Computed tomography of the spine; sagittal view; W/L 1800/400 HU; scan covers 23 annotated vertebrae; a region of this slice is masked with a uniform fill
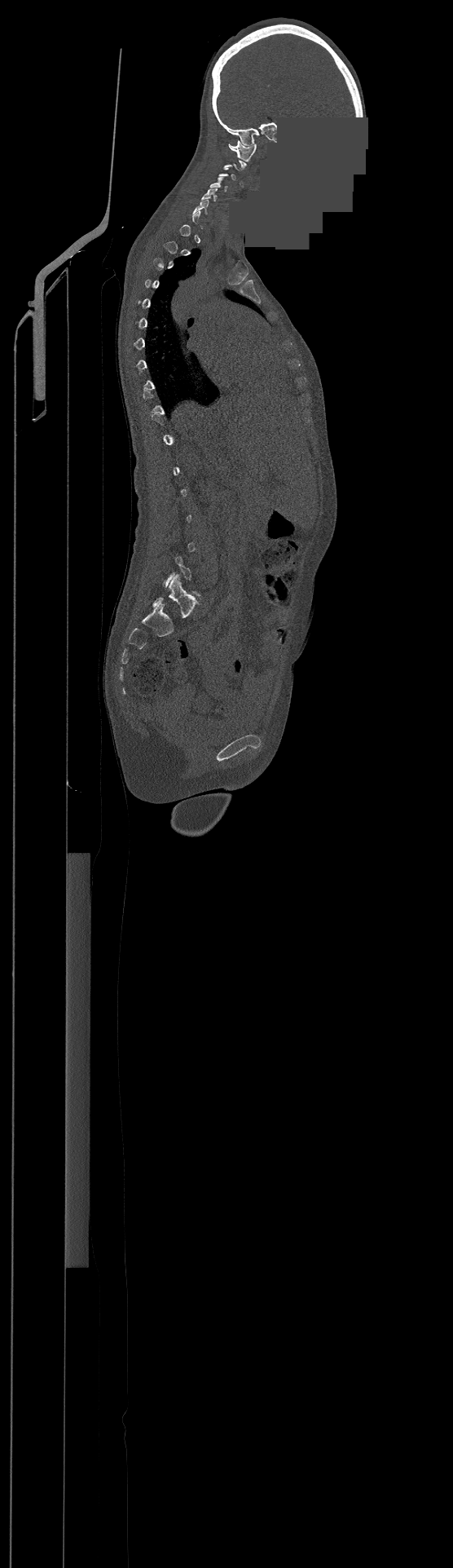

Not every vertebra on this slice has a box: a vertebra is boxed only from the first to the last slice where its cross-section is at least a third of its largest, and this slice is outside that range for at least one of them.
<vertebrae><v name="C6" x1="195" y1="200" x2="209" y2="214"/><v name="C5" x1="200" y1="188" x2="218" y2="201"/><v name="C4" x1="210" y1="177" x2="226" y2="191"/><v name="C1" x1="228" y1="140" x2="257" y2="161"/></vertebrae>